Spine CT. sagittal plane, index 125. 230x400 px. scan covers 14 annotated vertebrae. 230 mm wide
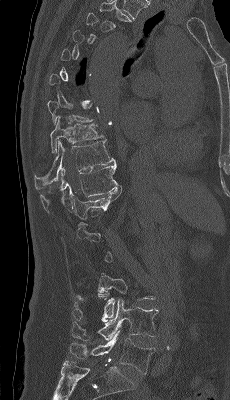
Columns x1, y1, x2, y2 give each box's top-left and bottom-right pixels.
Not every vertebra on this slice has a box: a vertebra is boxed only from the first to the last slice where its cross-section is at least a third of its largest, and this slice is outside that range for at least one of them.
| vertebra | x1 | y1 | x2 | y2 |
|---|---|---|---|---|
| L5 | 70 | 330 | 155 | 374 |
| L4 | 71 | 299 | 158 | 341 |
| L3 | 72 | 273 | 154 | 322 |
| T12 | 72 | 186 | 121 | 219 |
| T11 | 40 | 163 | 122 | 212 |
| T10 | 34 | 140 | 116 | 190 |
| T9 | 50 | 116 | 104 | 153 |